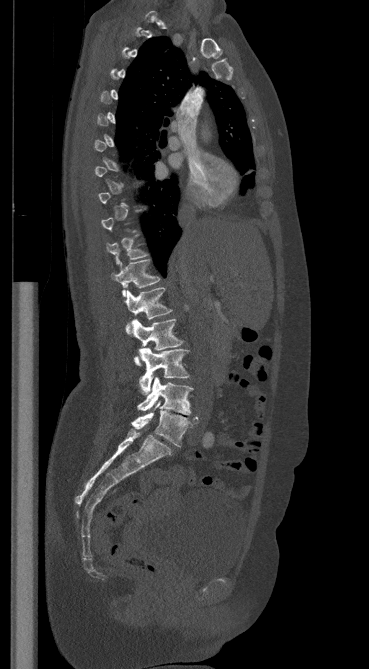 CT spine; the image is 369 mm wide; sagittal view
Not every vertebra on this slice has a box: a vertebra is boxed only from the first to the last slice where its cross-section is at least a third of its largest, and this slice is outside that range for at least one of them.
<vertebrae><v name="T12" x1="112" y1="259" x2="160" y2="297"/><v name="L1" x1="125" y1="287" x2="172" y2="333"/><v name="L2" x1="132" y1="319" x2="183" y2="365"/><v name="L3" x1="139" y1="348" x2="189" y2="394"/><v name="L4" x1="137" y1="377" x2="192" y2="415"/><v name="L5" x1="131" y1="401" x2="197" y2="446"/></vertebrae>